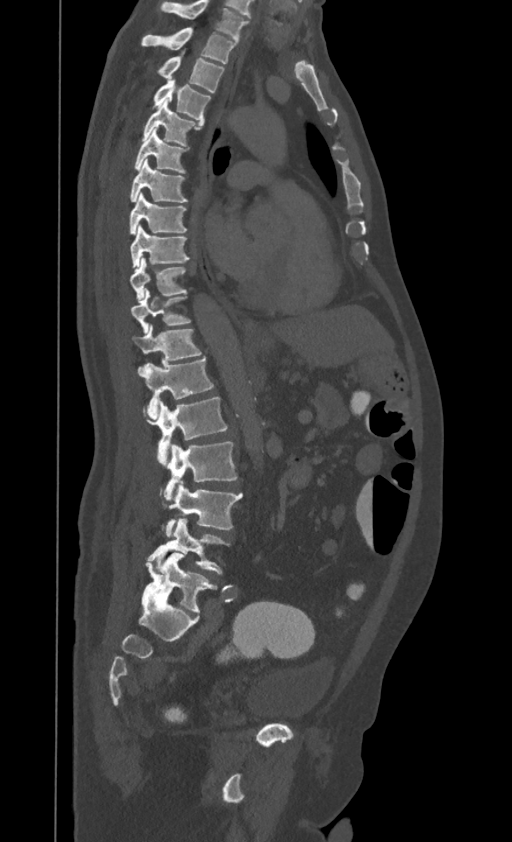 Spine computed tomography; sagittal view; Bone window (WL 400, WW 1800); 512x842 px
Coordinates as <box>x1,y1,x2,y2</box>. This scan's labels start at T1 at the top and end at L4 at the bottom. Vertebrae labeled: T1 at <box>141,27,236,63</box>, T2 at <box>158,50,223,92</box>, T3 at <box>154,78,210,121</box>, T4 at <box>144,99,201,145</box>, T5 at <box>135,128,186,173</box>, T6 at <box>131,160,187,202</box>, T7 at <box>129,192,186,233</box>, T8 at <box>129,225,188,268</box>, T9 at <box>129,257,186,302</box>, T10 at <box>131,289,189,331</box>, T11 at <box>132,325,201,371</box>, T12 at <box>139,358,213,419</box>, L1 at <box>144,397,227,464</box>, L2 at <box>164,442,236,499</box>, L3 at <box>166,481,243,536</box>, L4 at <box>148,518,224,573</box>.